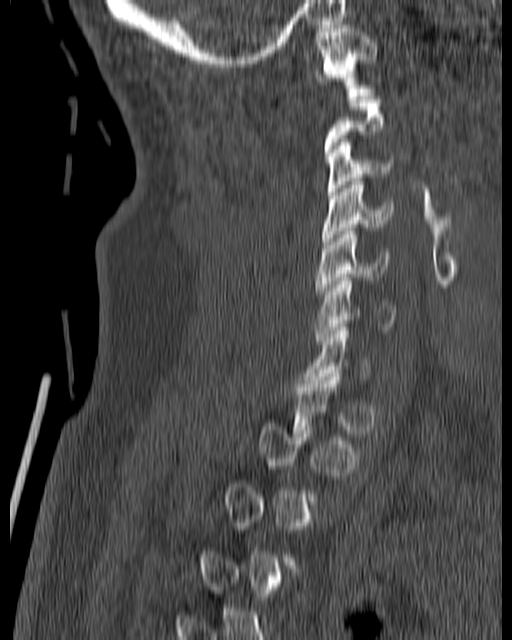

Computed tomography of the spine. sagittal view

Bounding boxes as [x1, y1, x2, y2] in pixel coordinates.
A vertebra gets a box only on the slices from the first to the last where its cross-section is at least a third of its largest; on a slice outside that range it gets none.
Vertebra bounding boxes:
- C1: [314, 25, 377, 95]
- C3: [326, 139, 392, 195]
- C4: [322, 178, 393, 248]
- C5: [315, 228, 390, 294]
- C6: [314, 277, 397, 344]